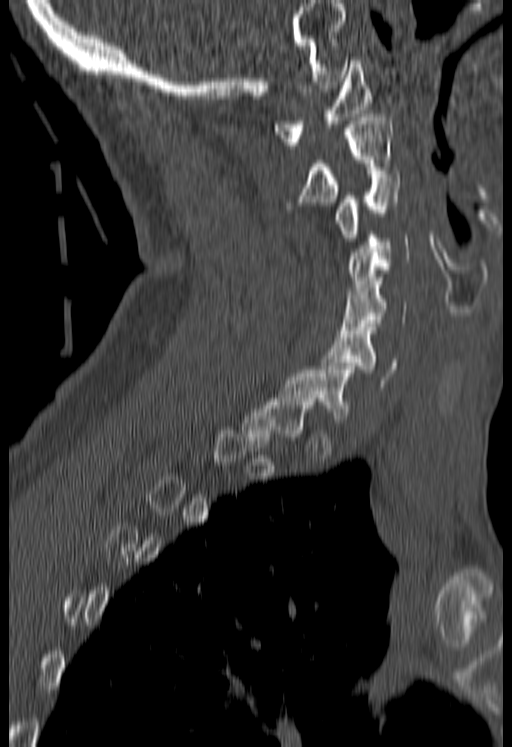
Spine CT. sagittal view. W/L 1800/400 HU
Boxes below are [x1, y1, x2, y2] in pixels.
Each vertebra is boxed only on the slices from the first to the last where its cross-section reaches a third of its largest, so a slice outside that range leaves it unboxed.
{"vertebrae":{"C6":[322,324,397,387],"C5":[339,277,406,333],"C4":[346,235,409,294],"C3":[334,174,399,241],"C2":[300,114,392,205],"C1":[274,60,373,148]}}